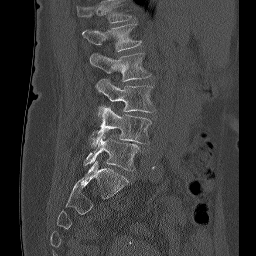 CT, spine. sagittal view. 256 mm wide

Boxes below are [x1, y1, x2, y2] in pixels.
In this scan, the topmost labeled vertebra is L1 and the lowest is L5.
{"vertebrae":{"L1":[82,22,141,51],"L2":[89,52,151,81],"L3":[95,79,155,112],"L4":[88,106,151,148],"L5":[84,137,139,171]}}